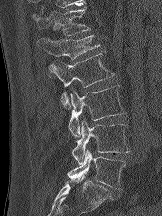 CT spine. sagittal reformat. W/L 1800/400 HU
Bounding boxes as [x1, y1, x2, y2] in pixel coordinates. Vertebrae labeled: T12 at [32, 7, 90, 35], L1 at [37, 35, 100, 77], L2 at [49, 51, 115, 109], L3 at [68, 85, 125, 137], L4 at [72, 120, 129, 164], L5 at [67, 149, 125, 189].